Spine computed tomography — sagittal view — the image is 399 mm wide — 512x637 px
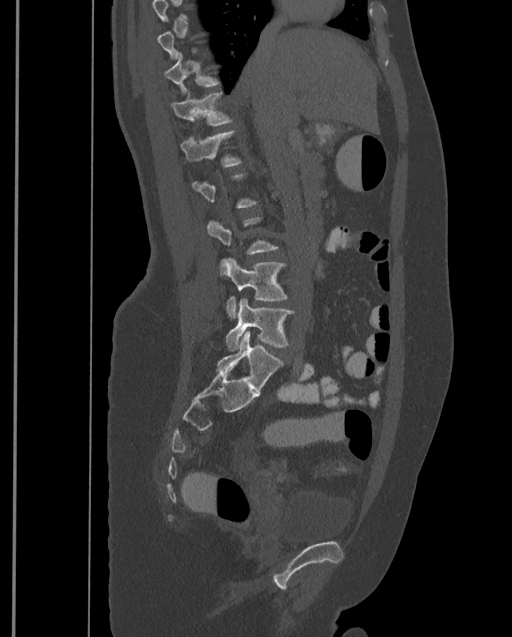 Coordinates as <box>x1,y1,x2,y2</box>.
Each vertebra is boxed only on the slices from the first to the last where its cross-section reaches a third of its largest, so a slice outside that range leaves it unboxed.
This scan's labels start at T9 at the top and end at L4 at the bottom.
Vertebra bounding boxes:
- T10: <box>164,52,220,95</box>
- T11: <box>171,92,232,126</box>
- T12: <box>180,129,243,166</box>
- L3: <box>219,258,288,319</box>
- L4: <box>226,298,294,350</box>